Computed tomography of the spine. Sagittal slice 97/222. bone window. 17 vertebrae labeled in this scan
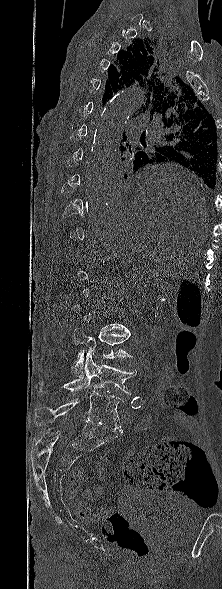 Box edges are left/top/right/bottom in pixels.
Not every vertebra on this slice has a box: a vertebra is boxed only from the first to the last slice where its cross-section is at least a third of its largest, and this slice is outside that range for at least one of them.
| vertebra | x1 | y1 | x2 | y2 |
|---|---|---|---|---|
| L3 | 71 | 328 | 132 | 377 |
| L4 | 35 | 351 | 136 | 394 |
| L5 | 35 | 391 | 123 | 433 |